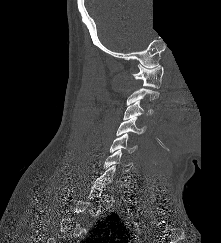 CT, spine · sagittal view · 221x243 px · image 221 mm wide · a region is blanked to uniform black, ending in a straight edge
Boxes are given in columns x1, y1, x2, y2, the pixel coordinates of their top-left and bottom-right corners.
A vertebra gets a box only on the slices from the first to the last where its cross-section is at least a third of its largest; on a slice outside that range it gets none.
| vertebra | x1 | y1 | x2 | y2 |
|---|---|---|---|---|
| C7 | 93 | 165 | 120 | 185 |
| C6 | 103 | 149 | 132 | 173 |
| C5 | 110 | 133 | 137 | 153 |
| C4 | 116 | 116 | 145 | 135 |
| C3 | 122 | 100 | 153 | 120 |
| C1 | 133 | 64 | 163 | 88 |